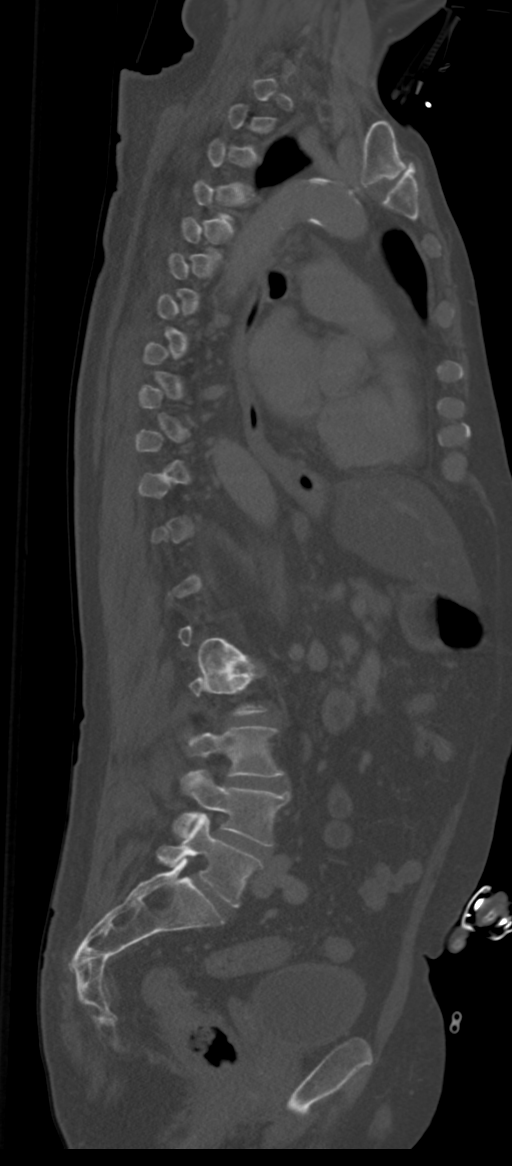 Computed tomography of the spine · sagittal view · 512x1166 px

Each row gives a vertebra's box as x1, y1, x2, y2 in pixels: top-left corner, then bottom-right corner.
A vertebra gets a box only on the slices from the first to the last where its cross-section is at least a third of its largest; on a slice outside that range it gets none.
The labels name a sixth lumbar vertebra for this spine: L6, after L5.
| vertebra | x1 | y1 | x2 | y2 |
|---|---|---|---|---|
| L4 | 188 | 727 | 282 | 777 |
| L5 | 175 | 769 | 289 | 846 |
| L6 | 157 | 814 | 261 | 907 |